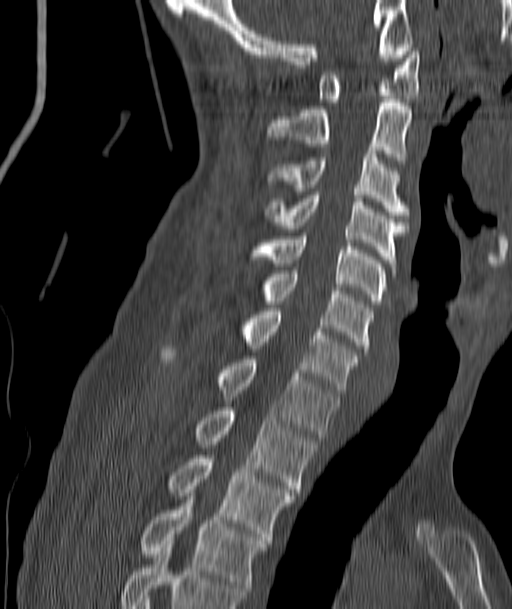
Spine computed tomography; sagittal reformat; bone window
Columns x1, y1, x2, y2 give each box's top-left and bottom-right pixels.
| vertebra | x1 | y1 | x2 | y2 |
|---|---|---|---|---|
| T4 | 141 | 500 | 268 | 598 |
| T3 | 168 | 455 | 293 | 540 |
| T2 | 195 | 407 | 317 | 492 |
| T1 | 160 | 346 | 339 | 437 |
| C7 | 239 | 308 | 359 | 393 |
| C6 | 261 | 270 | 372 | 348 |
| C5 | 250 | 233 | 386 | 304 |
| C4 | 264 | 192 | 408 | 266 |
| C3 | 269 | 151 | 408 | 218 |
| C2 | 266 | 99 | 412 | 163 |
| C1 | 318 | 48 | 419 | 102 |